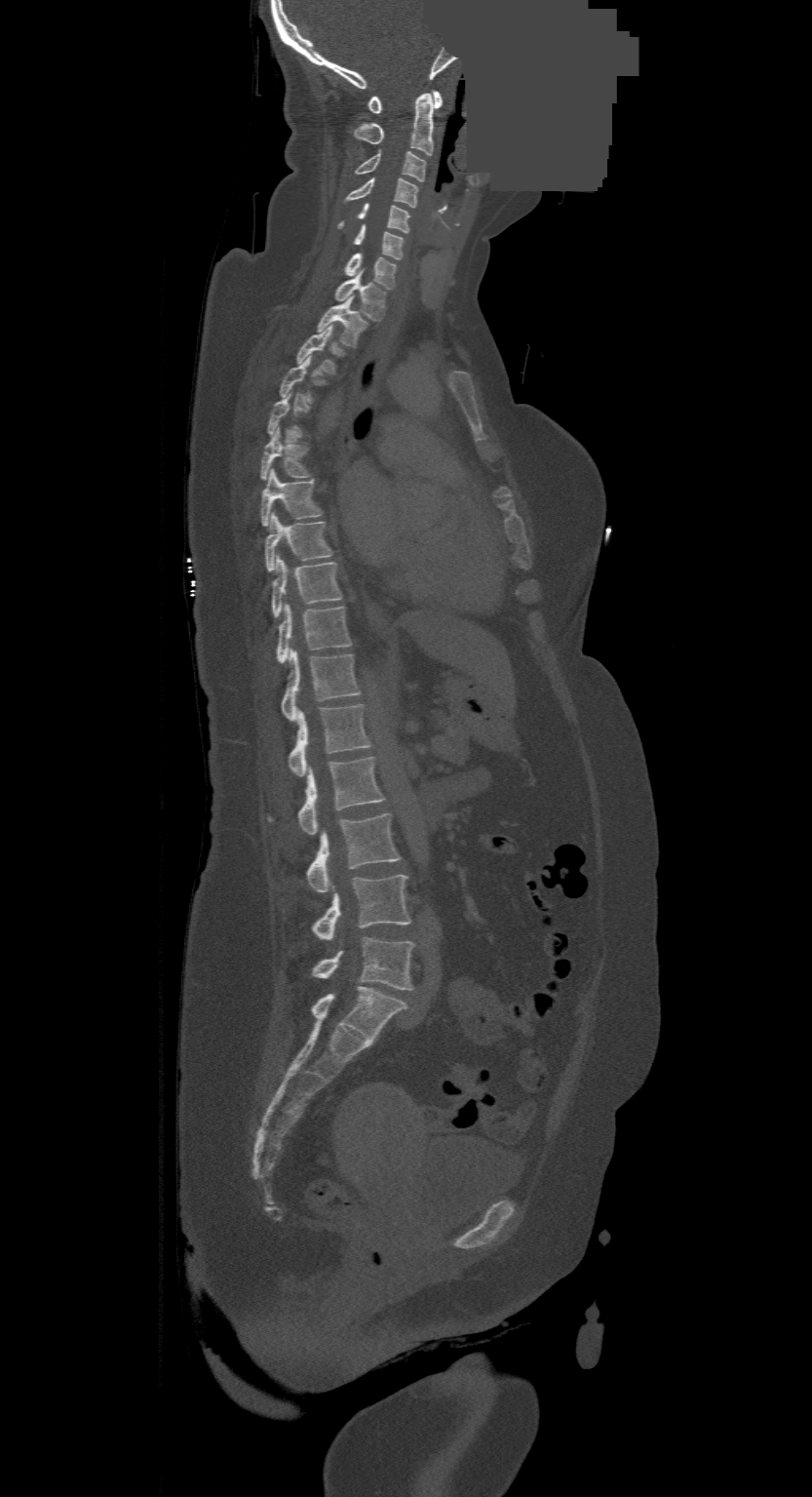 Computed tomography of the spine · 500 mm wide · sagittal view · some of the image was removed or blocked out with constant pixels

Boxes below are [x1, y1, x2, y2] in pixels.
A vertebra is boxed only from the first to the last slice where its cross-section is at least a third of its largest; slices outside that range leave it without a box.
Labels in this scan begin with C1 at the top and end with L4 at the bottom.
{"vertebrae":{"L4":[313,938,414,989],"L3":[313,875,410,940],"L2":[308,813,401,891],"L1":[268,756,385,835],"T12":[288,704,368,776],"T11":[281,650,359,720],"T10":[276,604,351,662],"T9":[271,556,342,618],"T8":[265,514,332,571],"T7":[260,468,323,526],"T6":[260,428,312,479],"T4":[279,356,326,401],"T3":[295,326,345,374],"T2":[318,297,367,347],"T1":[334,273,386,321],"C7":[344,253,398,289],"C6":[352,224,404,259],"C5":[338,204,410,233],"C4":[346,177,418,208],"C3":[354,150,426,181],"C2":[354,93,434,155],"C1":[368,91,442,113]}}